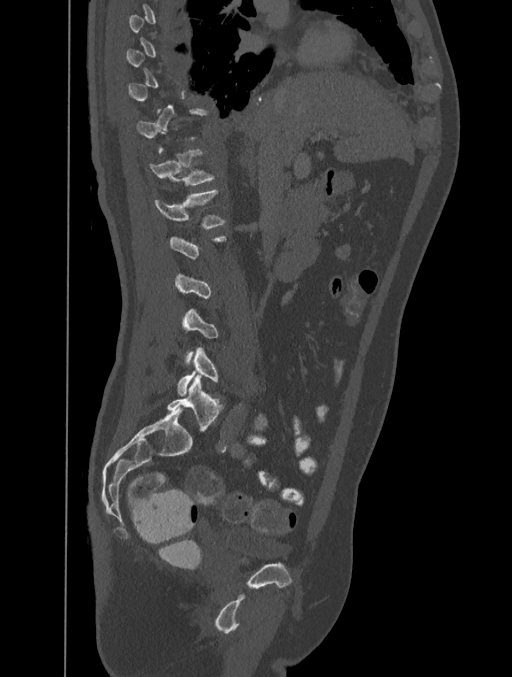 Computed tomography of the spine — sagittal view — Bone window (WL 400, WW 1800)
Box edges are left/top/right/bottom in pixels.
A vertebra is boxed only from the first to the last slice where its cross-section is at least a third of its largest; slices outside that range leave it without a box.
T12: left=149, top=149, right=213, bottom=184
L1: left=154, top=190, right=225, bottom=228
L5: left=177, top=347, right=217, bottom=395